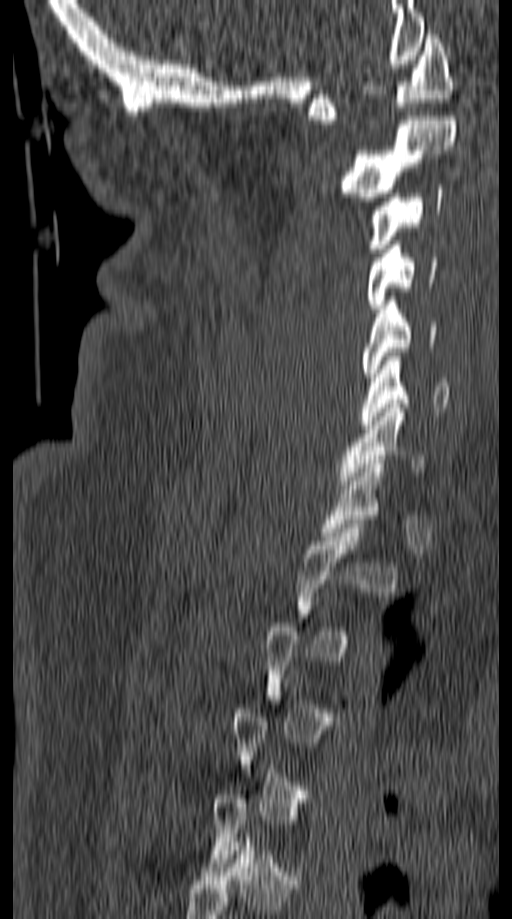

CT, spine. sagittal view

Boxes are (x1, y1, x2, y2) in pixels.
Not every vertebra on this slice has a box: a vertebra is boxed only from the first to the last slice where its cross-section is at least a third of its largest, and this slice is outside that range for at least one of them.
Vertebra bounding boxes:
- C1: (309, 30, 452, 124)
- C2: (341, 116, 457, 201)
- C3: (369, 185, 443, 252)
- C4: (367, 241, 437, 308)
- C5: (362, 296, 437, 377)
- C6: (359, 357, 450, 429)
- C7: (335, 404, 427, 489)